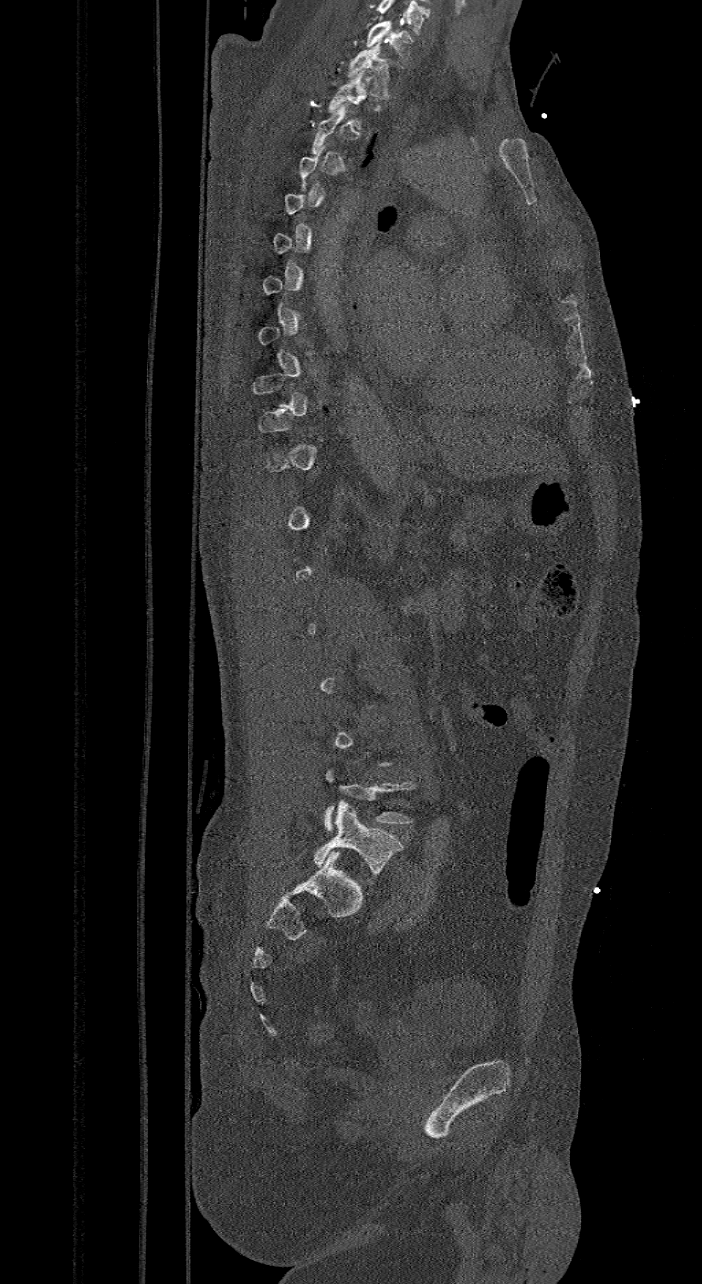

CT. sagittal view. Bone window (WL 400, WW 1800)
Boxes: x1 y1 x2 y2 (pixel coords, space-separated). Each vertebra is boxed only on the slices from the first to the last where its cross-section reaches a third of its largest, so a slice outside that range leaves it unboxed. In this scan, the topmost labeled vertebra is C7 and the lowest is L6. In these labels the spine has an L6, a sixth lumbar vertebra below L5. The labeled vertebrae in this slice are: L6 at 314 801 402 875, T2 at 328 71 368 128, T1 at 348 42 391 98, C7 at 366 21 412 67.